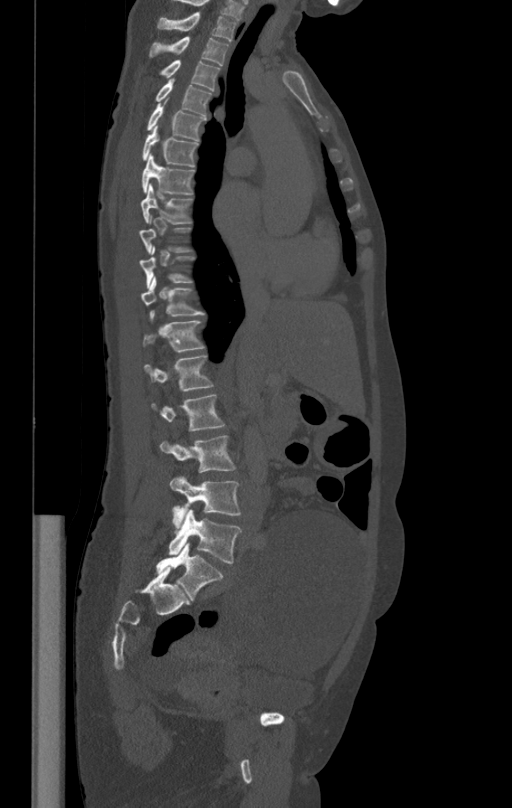

CT, spine. sagittal view. Bone window (WL 400, WW 1800). 512x808 px
Box edges are left/top/right/bottom in pixels.
Not every vertebra on this slice has a box: a vertebra is boxed only from the first to the last slice where its cross-section is at least a third of its largest, and this slice is outside that range for at least one of them.
| vertebra | x1 | y1 | x2 | y2 |
|---|---|---|---|---|
| T1 | 158 | 12 | 236 | 42 |
| T2 | 149 | 37 | 229 | 65 |
| T3 | 160 | 59 | 220 | 91 |
| T4 | 156 | 79 | 211 | 115 |
| T5 | 147 | 97 | 205 | 140 |
| T6 | 143 | 126 | 198 | 167 |
| T7 | 142 | 154 | 194 | 194 |
| T8 | 140 | 185 | 191 | 224 |
| T10 | 139 | 247 | 194 | 285 |
| T11 | 140 | 277 | 204 | 316 |
| T12 | 143 | 320 | 204 | 351 |
| L1 | 144 | 356 | 214 | 390 |
| L2 | 151 | 394 | 225 | 430 |
| L3 | 160 | 435 | 235 | 472 |
| L4 | 170 | 475 | 241 | 527 |
| L5 | 169 | 509 | 241 | 563 |